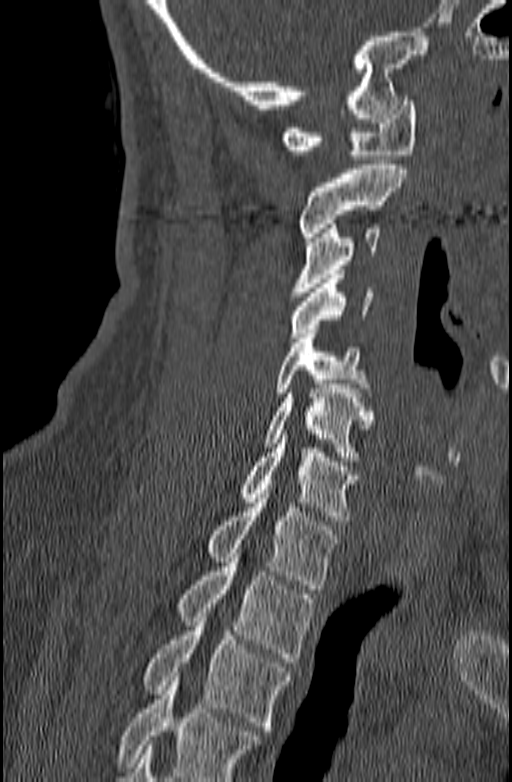 Spine computed tomography. sagittal view. W/L 1800/400 HU. 512x782 px
Boxes are (x1, y1, x2, y2) in pixels.
Vertebrae that run past the bottom of the scan are left unlabeled.
T3: (144, 608, 289, 730)
T2: (177, 549, 315, 662)
T1: (206, 494, 340, 589)
C7: (239, 434, 359, 520)
C6: (264, 384, 373, 461)
C5: (276, 329, 371, 397)
C4: (290, 274, 373, 337)
C3: (291, 224, 380, 296)
C2: (298, 165, 406, 241)
C1: (280, 96, 416, 159)